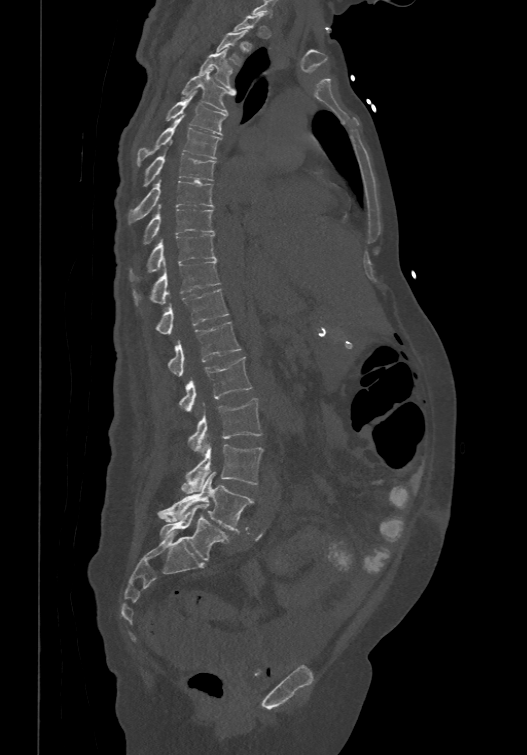 CT — sagittal view. Bounding boxes as [x1, y1, x2, y2] in pixel coordinates.
Not every vertebra on this slice has a box: a vertebra is boxed only from the first to the last slice where its cross-section is at least a third of its largest, and this slice is outside that range for at least one of them.
The labels name a sixth lumbar vertebra for this spine: L6, after L5.
T2: [216, 30, 248, 64]
T3: [199, 48, 236, 90]
T4: [181, 67, 235, 113]
T5: [166, 91, 226, 134]
T6: [137, 114, 221, 164]
T7: [143, 153, 216, 185]
T8: [128, 176, 213, 223]
T9: [143, 203, 213, 242]
T10: [130, 233, 216, 280]
T11: [134, 260, 220, 303]
T12: [155, 287, 229, 333]
L1: [168, 321, 241, 375]
L2: [179, 356, 252, 412]
L3: [189, 398, 261, 455]
L4: [181, 444, 262, 493]
L5: [157, 472, 253, 531]
L6: [159, 504, 229, 560]